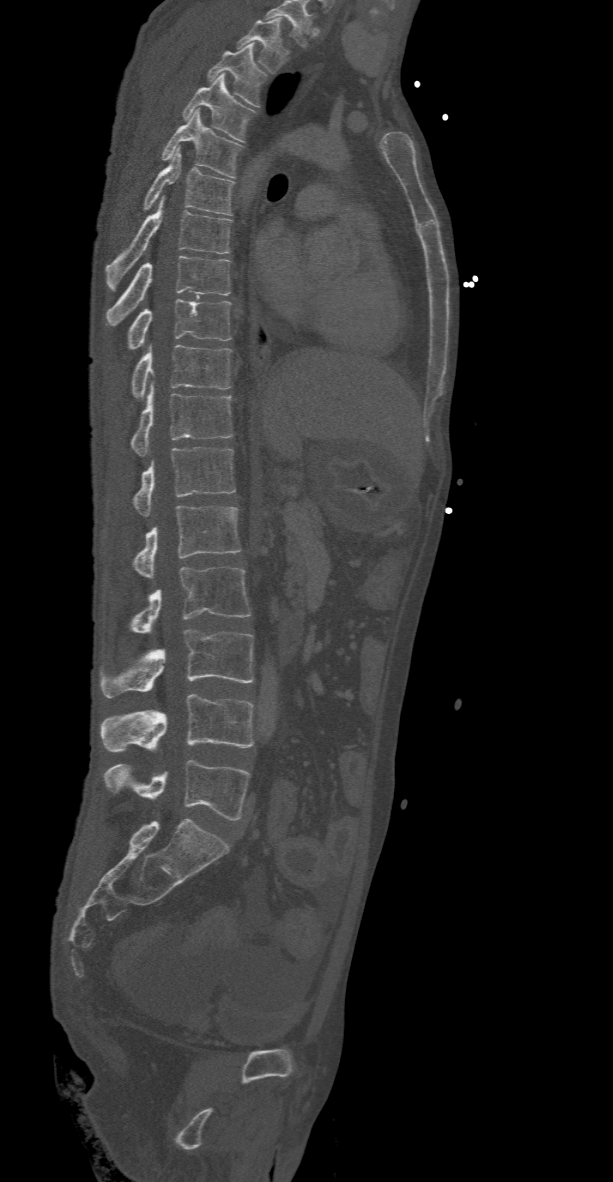

CT, spine — sagittal view — 613x1182 px

Boxes: x1 y1 x2 y2 (pixel coords, space-separated). This scan's labels start at T2 at the top and end at L5 at the bottom. 16 vertebrae labeled — L5 at 104 759 251 820; L4 at 99 694 254 751; L3 at 99 629 254 698; L2 at 128 567 251 633; L1 at 132 506 241 578; T12 at 132 447 235 516; T11 at 129 382 233 455; T10 at 129 344 233 398; T9 at 127 299 230 350; T8 at 107 256 230 326; T7 at 104 196 230 291; T6 at 143 147 234 215; T5 at 162 109 241 178; T4 at 181 74 254 141; T3 at 206 44 265 106; T2 at 238 19 288 73.